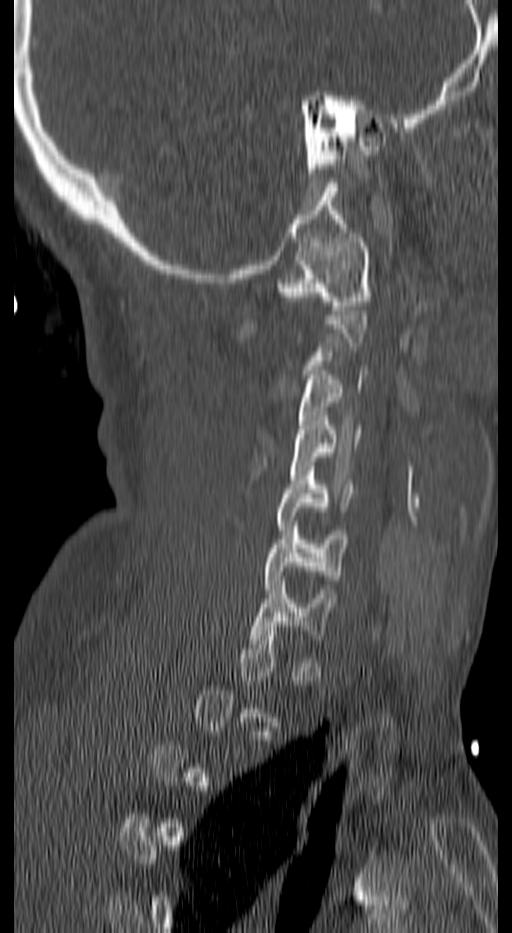
Spine CT; sagittal view; bone window. Box edges are left/top/right/bottom in pixels.
A vertebra gets a box only on the slices from the first to the last where its cross-section is at least a third of its largest; on a slice outside that range it gets none.
| vertebra | x1 | y1 | x2 | y2 |
|---|---|---|---|---|
| C7 | 250 | 581 | 333 | 644 |
| C6 | 265 | 521 | 348 | 593 |
| C5 | 276 | 466 | 355 | 534 |
| C4 | 290 | 416 | 362 | 479 |
| C3 | 296 | 370 | 366 | 438 |
| C1 | 279 | 233 | 370 | 310 |